Computed tomography of the spine · sagittal reformat · the image is 500 mm wide
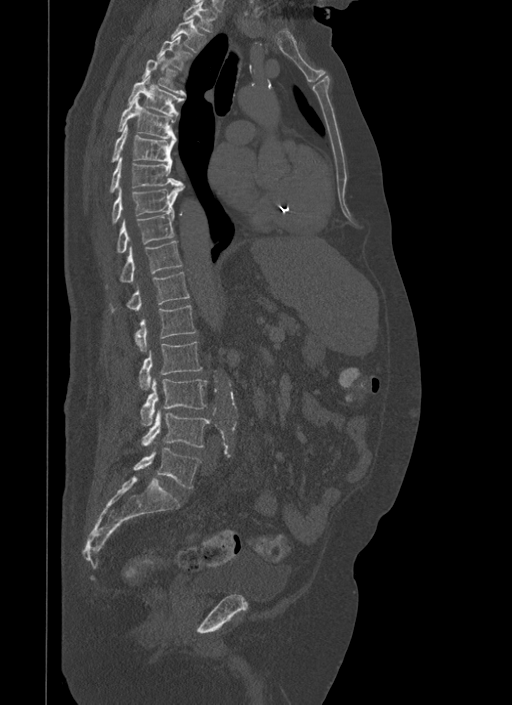

Each box given as x1,y1,x2,y2. The labeled vertebrae in this slice are: T1 at x1=182, y1=0, x2=216, y2=32, T2 at x1=171, y1=18, x2=205, y2=52, T3 at x1=156, y1=35, x2=191, y2=70, T4 at x1=142, y1=56, x2=186, y2=96, T5 at x1=127, y1=75, x2=183, y2=117, T6 at x1=118, y1=96, x2=174, y2=138, T7 at x1=111, y1=124, x2=176, y2=162, T8 at x1=109, y1=158, x2=181, y2=192, T9 at x1=111, y1=181, x2=184, y2=222, T10 at x1=116, y1=213, x2=174, y2=252, T11 at x1=120, y1=241, x2=182, y2=282, T12 at x1=111, y1=271, x2=190, y2=311, L1 at x1=136, y1=305, x2=196, y2=351, L2 at x1=140, y1=342, x2=202, y2=389, L3 at x1=141, y1=378, x2=207, y2=425, L4 at x1=143, y1=410, x2=210, y2=446, L5 at x1=134, y1=447, x2=200, y2=487.